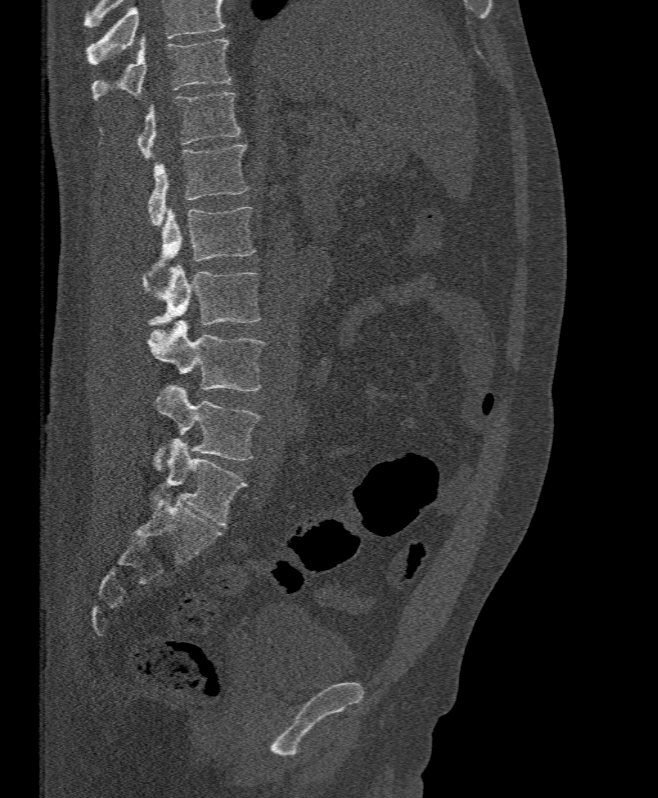 CT, spine — sagittal reformat — bone window — 658x798 px

Bounding boxes as [x1, y1, x2, y2] in pixel coordinates. No box is given to a vertebra that the top edge of the scan cuts off. Vertebrae labeled: T11 at [91, 35, 230, 101], T12 at [136, 92, 241, 159], L1 at [148, 145, 248, 226], L2 at [148, 207, 255, 277], L3 at [143, 263, 260, 326], L4 at [147, 320, 265, 391], L5 at [152, 385, 260, 470].